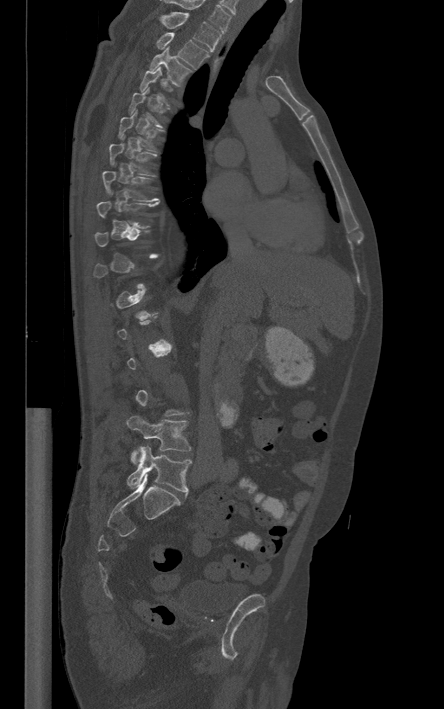
Spine CT · sagittal view · the image spans 444 mm across
Bounding boxes as [x1, y1, x2, y2] in pixel coordinates.
A vertebra gets a box only on the slices from the first to the last where its cross-section is at least a third of its largest; on a slice outside that range it gets none.
Labels in this scan begin with T1 at the top and end with L5 at the bottom.
T1: [161, 12, 220, 51]
T2: [157, 32, 209, 68]
T3: [150, 46, 191, 85]
T6: [118, 111, 159, 151]
T7: [109, 136, 156, 175]
T8: [102, 171, 158, 201]
L4: [127, 415, 190, 462]
L5: [127, 445, 190, 492]